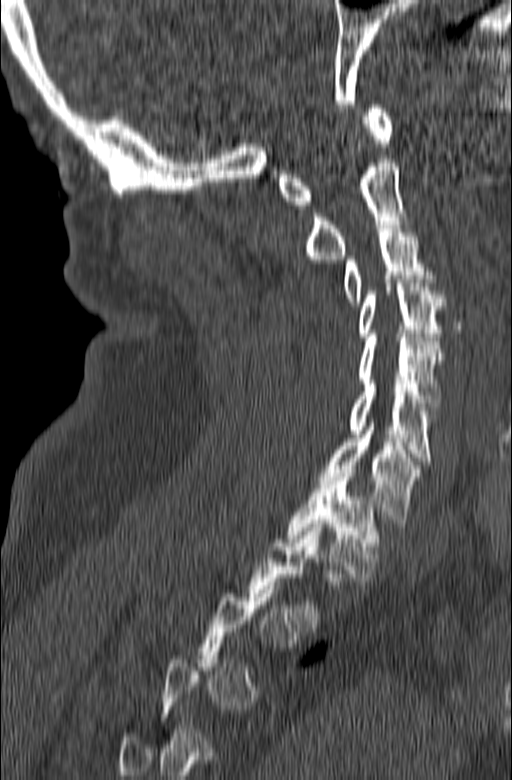 Computed tomography of the spine. sagittal reformat. 512x780 px. 165 mm wide

Box edges are left/top/right/bottom in pixels. A vertebra gets a box only on the slices from the first to the last where its cross-section is at least a third of its largest; on a slice outside that range it gets none. 9 vertebrae labeled — T2 at left=247, top=524, right=321, bottom=627; T1 at left=287, top=469, right=379, bottom=581; C7 at left=318, top=419, right=422, bottom=523; C6 at left=349, top=380, right=434, bottom=464; C5 at left=358, top=334, right=444, bottom=402; C4 at left=358, top=275, right=444, bottom=340; C3 at left=342, top=225, right=434, bottom=305; C2 at left=305, top=159, right=415, bottom=263; C1 at left=278, top=105, right=392, bottom=208.